Computed tomography of the spine. 162 mm wide. sagittal view. Bone window (WL 400, WW 1800)
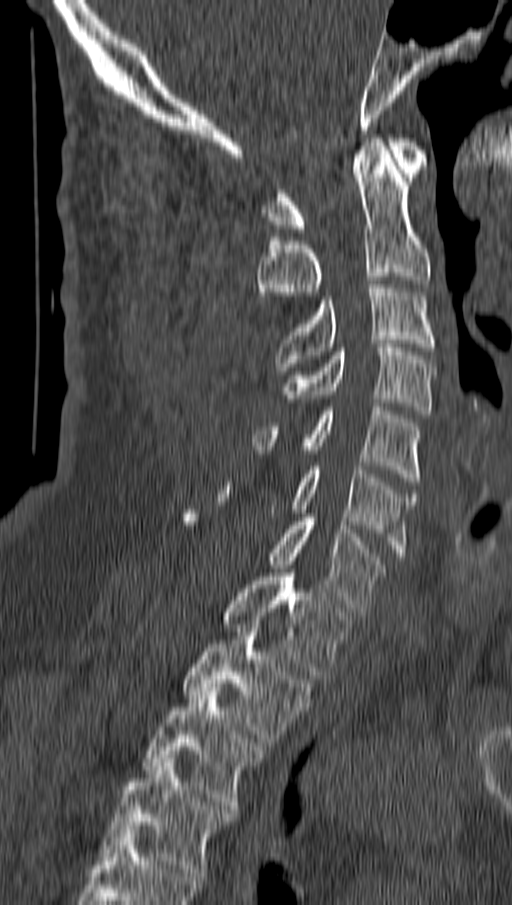 Each box given as x1,y1,x2,y2. 11 vertebrae labeled — C1 at x1=263, y1=138, x2=426, y2=232; C2 at x1=257, y1=138, x2=430, y2=311; C3 at x1=274, y1=284, x2=436, y2=370; C4 at x1=286, y1=344, x2=436, y2=418; C5 at x1=253, y1=407, x2=420, y2=485; C6 at x1=217, y1=466, x2=417, y2=560; C7 at x1=181, y1=510, x2=386, y2=611; T1 at x1=222, y1=569, x2=351, y2=679; T2 at x1=181, y1=624, x2=313, y2=746; T3 at x1=140, y1=687, x2=266, y2=809; T4 at x1=102, y1=759, x2=234, y2=880.